Spine CT. Sagittal slice 243/512. the image spans 461 mm across. W/L 1800/400 HU
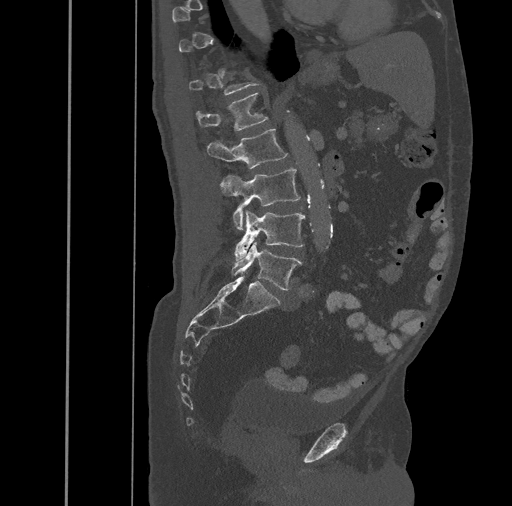
Boxes: x1:y1:x2:y2 in pixels. Not every vertebra on this slice has a box: a vertebra is boxed only from the first to the last slice where its cross-section is at least a third of its largest, and this slice is outside that range for at least one of them. Vertebrae labeled: L1 at 196:93:268:131, L2 at 207:128:287:168, L3 at 220:168:301:230, L4 at 234:211:305:261, L5 at 232:242:302:290.